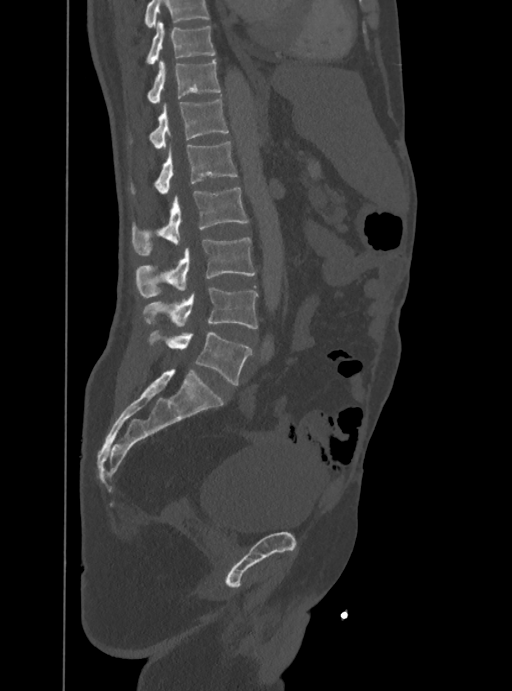 CT spine · sagittal view · image 388 mm wide
Bounding boxes as [x1, y1, x2, y2] in pixel coordinates. No box is given to a vertebra that the top edge of the scan cuts off. The labeled vertebrae in this slice are: T10 at [145, 21, 215, 64], T11 at [146, 59, 221, 104], T12 at [129, 99, 228, 147], L1 at [130, 141, 238, 194], L2 at [132, 188, 248, 254], L3 at [136, 238, 255, 297], L4 at [142, 287, 257, 329], L5 at [148, 330, 251, 384].